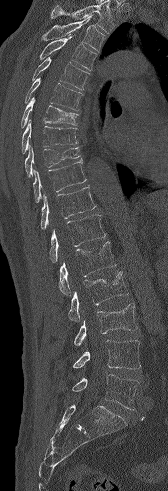 CT — image width 168 mm — sagittal view
Vertebrae that run past the top of the scan are left unlabeled.
<vertebrae><v name="T3" x1="41" y1="15" x2="106" y2="51"/><v name="T4" x1="39" y1="35" x2="97" y2="70"/><v name="T5" x1="32" y1="57" x2="90" y2="90"/><v name="T6" x1="25" y1="78" x2="82" y2="110"/><v name="T7" x1="21" y1="98" x2="78" y2="128"/><v name="T8" x1="21" y1="119" x2="78" y2="153"/><v name="T9" x1="25" y1="145" x2="82" y2="176"/><v name="T10" x1="33" y1="161" x2="86" y2="202"/><v name="T11" x1="41" y1="187" x2="96" y2="229"/><v name="T12" x1="49" y1="215" x2="105" y2="262"/><v name="L1" x1="59" y1="241" x2="116" y2="296"/><v name="L2" x1="68" y1="271" x2="128" y2="321"/><v name="L3" x1="73" y1="303" x2="137" y2="346"/><v name="L4" x1="72" y1="340" x2="140" y2="369"/><v name="L5" x1="72" y1="374" x2="138" y2="410"/></vertebrae>